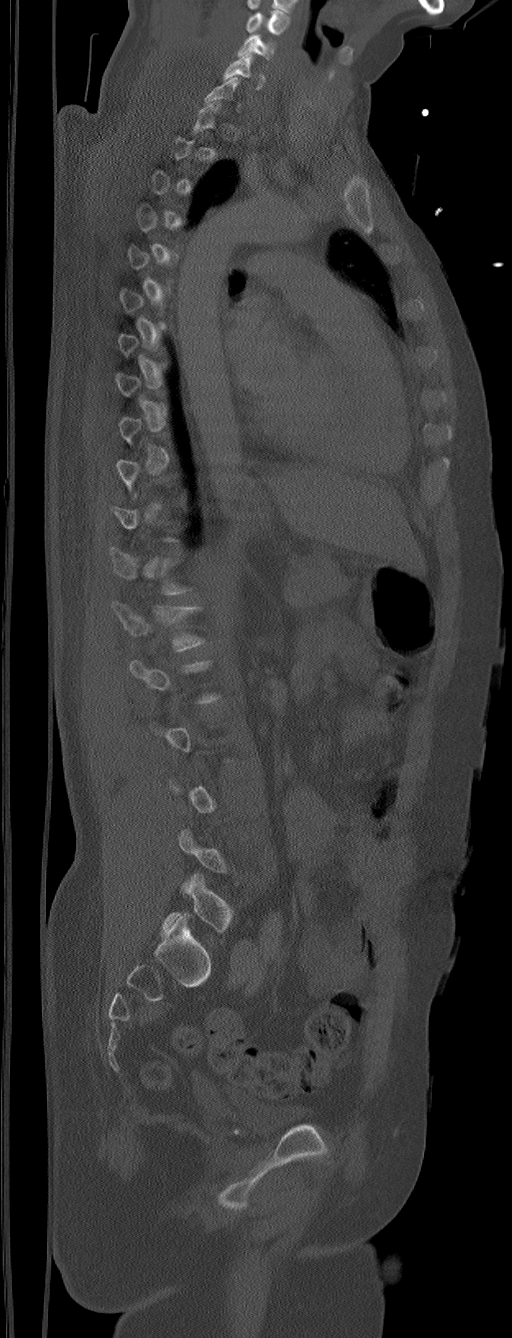
CT; sagittal view; 512x1338 px
Coordinates as <box>x1,y1,x2,y2</box>.
Each vertebra is boxed only on the slices from the first to the last where its cross-section reaches a third of its largest, so a slice outside that range leaves it unboxed.
The highest labeled vertebra in this scan is C5; the lowest is L6.
In these labels the spine has an L6, a sixth lumbar vertebra below L5.
L6: <box>160,873,233,933</box>
L1: <box>111,601,206,651</box>
C6: <box>223,53,265,89</box>
C5: <box>237,33,275,60</box>